CT, spine. sagittal plane, index 256. 512x756 px
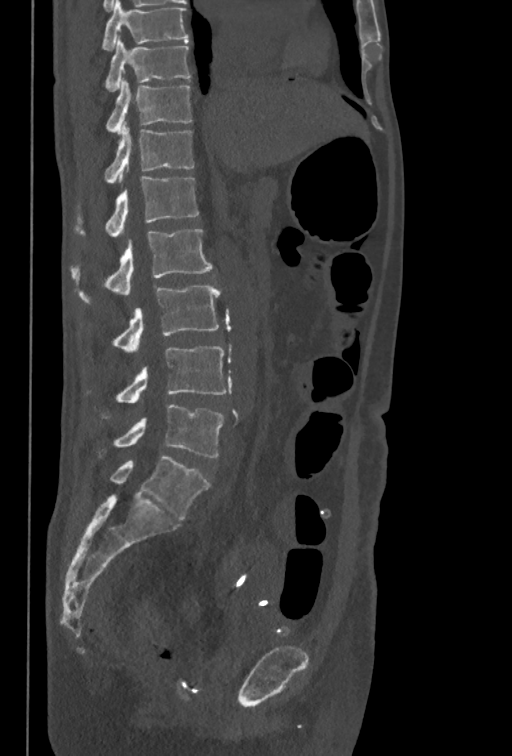 Boxes: x1 y1 x2 y2 (pixel coords, space-separated). The highest labeled vertebra in this scan is T10; the lowest is L5. 8 vertebrae labeled — T10 at 105 38 190 91; T11 at 107 80 192 135; T12 at 105 121 193 183; L1 at 74 176 199 237; L2 at 71 229 212 303; L3 at 114 284 220 353; L4 at 117 346 226 403; L5 at 114 404 224 457.